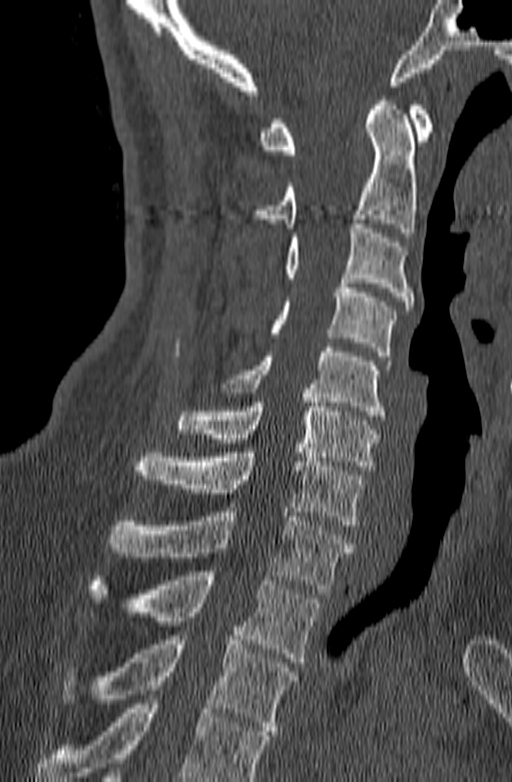
CT, spine. sagittal view. W/L 1800/400 HU. Boxes: x1 y1 x2 y2 (pixel coords, space-separated). No box is given to a vertebra that the bottom edge of the scan cuts off. Vertebrae labeled: C1 at 257 101 434 154, C2 at 251 96 418 232, C3 at 287 224 413 310, C4 at 271 279 396 356, C5 at 222 347 391 420, C6 at 177 393 377 470, C7 at 133 453 366 525, T1 at 107 507 353 589, T2 at 87 571 320 662, T3 at 63 631 297 735.